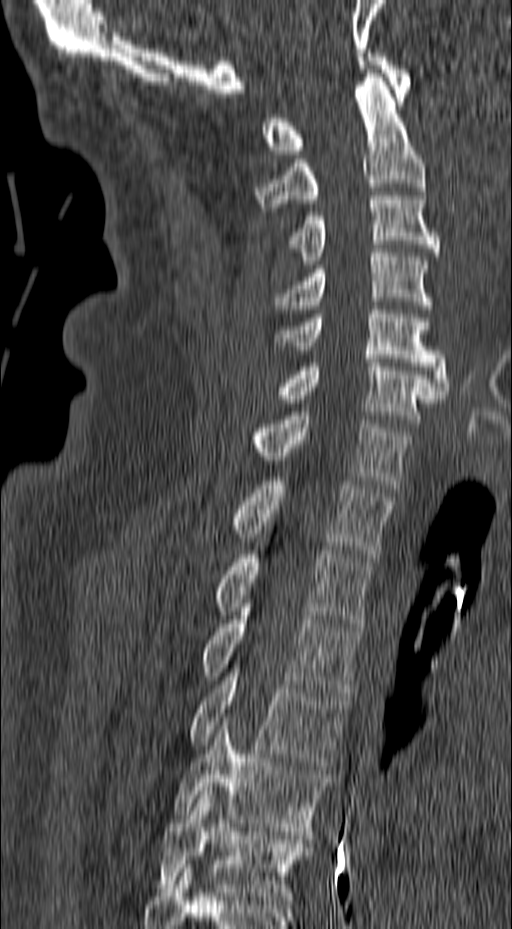

Spine CT · sagittal reformat · image 157 mm wide · bone window · 512x929 px

Boxes: x1:y1:x2:y2 in pixels.
Vertebra bounding boxes:
- T6: 157:791:310:904
- T5: 173:717:330:835
- T4: 189:669:349:769
- T3: 200:607:362:696
- T2: 213:550:372:627
- T1: 229:477:395:557
- C7: 252:412:411:488
- C6: 275:359:443:423
- C5: 273:310:449:394
- C4: 273:249:433:313
- C3: 288:196:440:264
- C2: 253:69:425:207
- C1: 262:53:411:154